CT, spine; sagittal plane, index 313; bone-window reconstruction
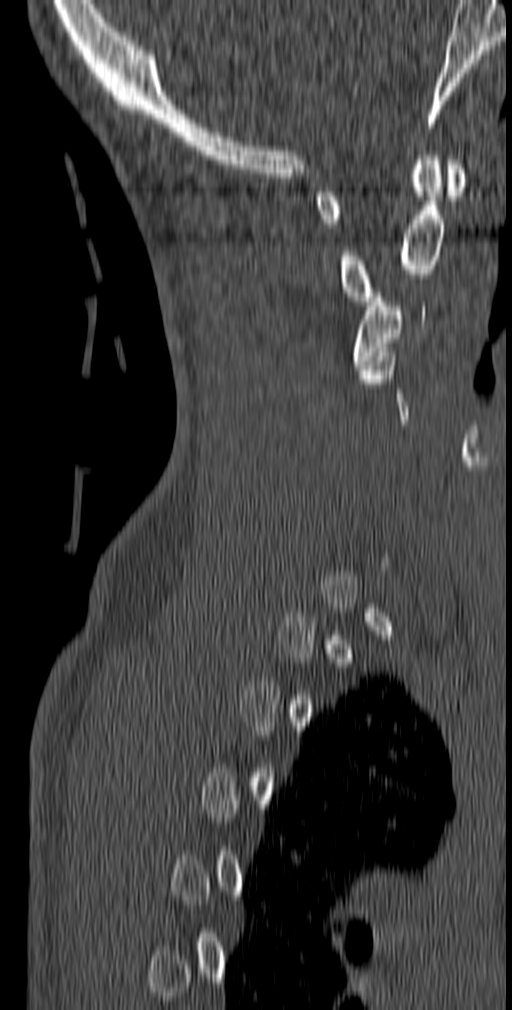

Each vertebra maps to its box as [x1, y1, x2, y2], the pixel coordinates of its top-left and bottom-right corners.
A vertebra gets a box only on the slices from the first to the last where its cross-section is at least a third of its largest; on a slice outside that range it gets none.
{"vertebrae":{"C3":[353,293,425,369],"C2":[338,151,445,305],"C1":[315,160,465,228]}}